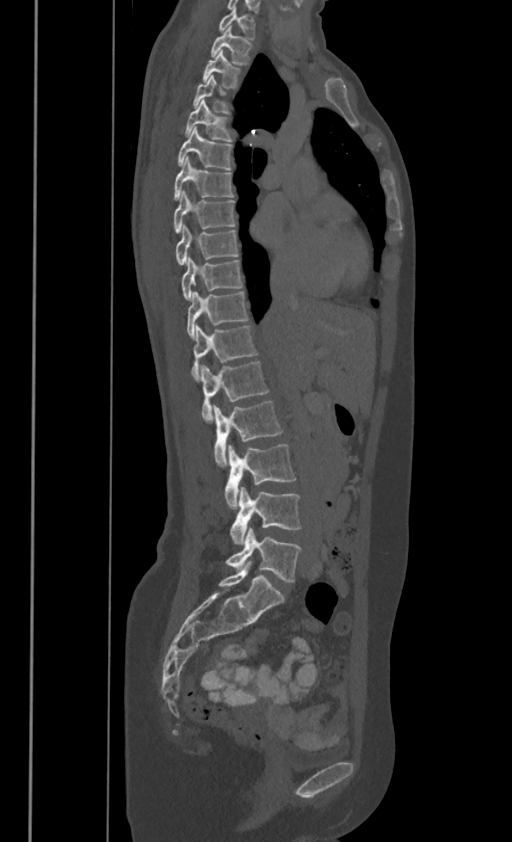
CT spine; sagittal view; bone window
Each box given as x1,y1,x2,y2. These labels give this spine no T12: after T11 the next vertebra is L1. The labeled vertebrae in this slice are: C7 at x1=219, y1=6, x2=255, y2=38, T1 at x1=211, y1=26, x2=251, y2=63, T2 at x1=203, y1=49, x2=240, y2=87, T3 at x1=193, y1=74, x2=228, y2=111, T4 at x1=186, y1=99, x2=231, y2=141, T5 at x1=178, y1=125, x2=231, y2=169, T6 at x1=174, y1=156, x2=232, y2=198, T7 at x1=174, y1=190, x2=235, y2=232, T8 at x1=175, y1=223, x2=238, y2=264, T9 at x1=182, y1=255, x2=242, y2=299, T10 at x1=187, y1=290, x2=248, y2=337, T11 at x1=191, y1=325, x2=256, y2=380, L1 at x1=200, y1=361, x2=268, y2=422, L2 at x1=213, y1=399, x2=283, y2=467, L3 at x1=224, y1=444, x2=295, y2=509, L4 at x1=231, y1=487, x2=300, y2=543, L5 at x1=225, y1=528, x2=300, y2=582.